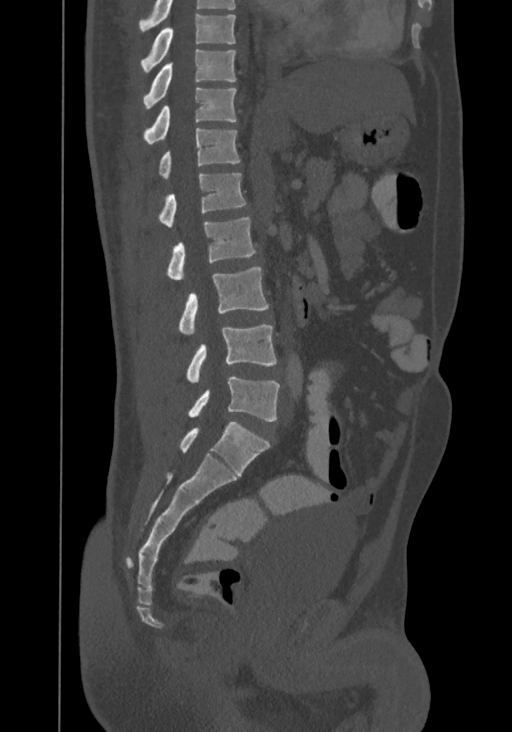 Spine computed tomography · sagittal view
The highest labeled vertebra in this scan is T8; the lowest is L4.
<vertebrae><v name="L4" x1="188" y1="377" x2="279" y2="421"/><v name="L3" x1="185" y1="325" x2="276" y2="382"/><v name="L2" x1="178" y1="267" x2="268" y2="333"/><v name="L1" x1="166" y1="217" x2="255" y2="279"/><v name="T12" x1="157" y1="173" x2="246" y2="226"/><v name="T11" x1="159" y1="128" x2="240" y2="179"/><v name="T10" x1="143" y1="88" x2="236" y2="143"/><v name="T9" x1="143" y1="49" x2="235" y2="109"/><v name="T8" x1="141" y1="14" x2="235" y2="73"/></vertebrae>